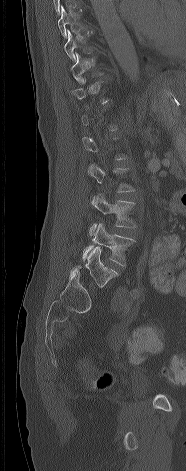
Spine computed tomography. sagittal view. 186x471 px
A vertebra is boxed only from the first to the last slice where its cross-section is at least a third of its largest; slices outside that range leave it without a box.
<vertebrae><v name="T8" x1="58" y1="6" x2="94" y2="38"/><v name="T9" x1="64" y1="29" x2="102" y2="62"/><v name="L3" x1="89" y1="194" x2="135" y2="235"/><v name="L4" x1="82" y1="223" x2="135" y2="265"/><v name="L5" x1="69" y1="247" x2="117" y2="286"/></vertebrae>